CT, spine; sagittal plane, index 171; 9 vertebrae labeled in this scan; a region of this slice is masked with a uniform fill
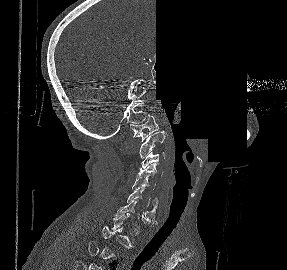 Boxes: x1 y1 x2 y2 (pixel coords, space-separated). Not every vertebra on this slice has a box: a vertebra is boxed only from the first to the last slice where its cross-section is at least a third of its largest, and this slice is outside that range for at least one of them. The labeled vertebrae in this slice are: C1 at 130 115 158 141, C2 at 139 130 166 158, C3 at 139 152 164 169, C4 at 137 163 163 178, C5 at 132 177 157 204, C6 at 127 187 157 220, C7 at 114 199 157 222.